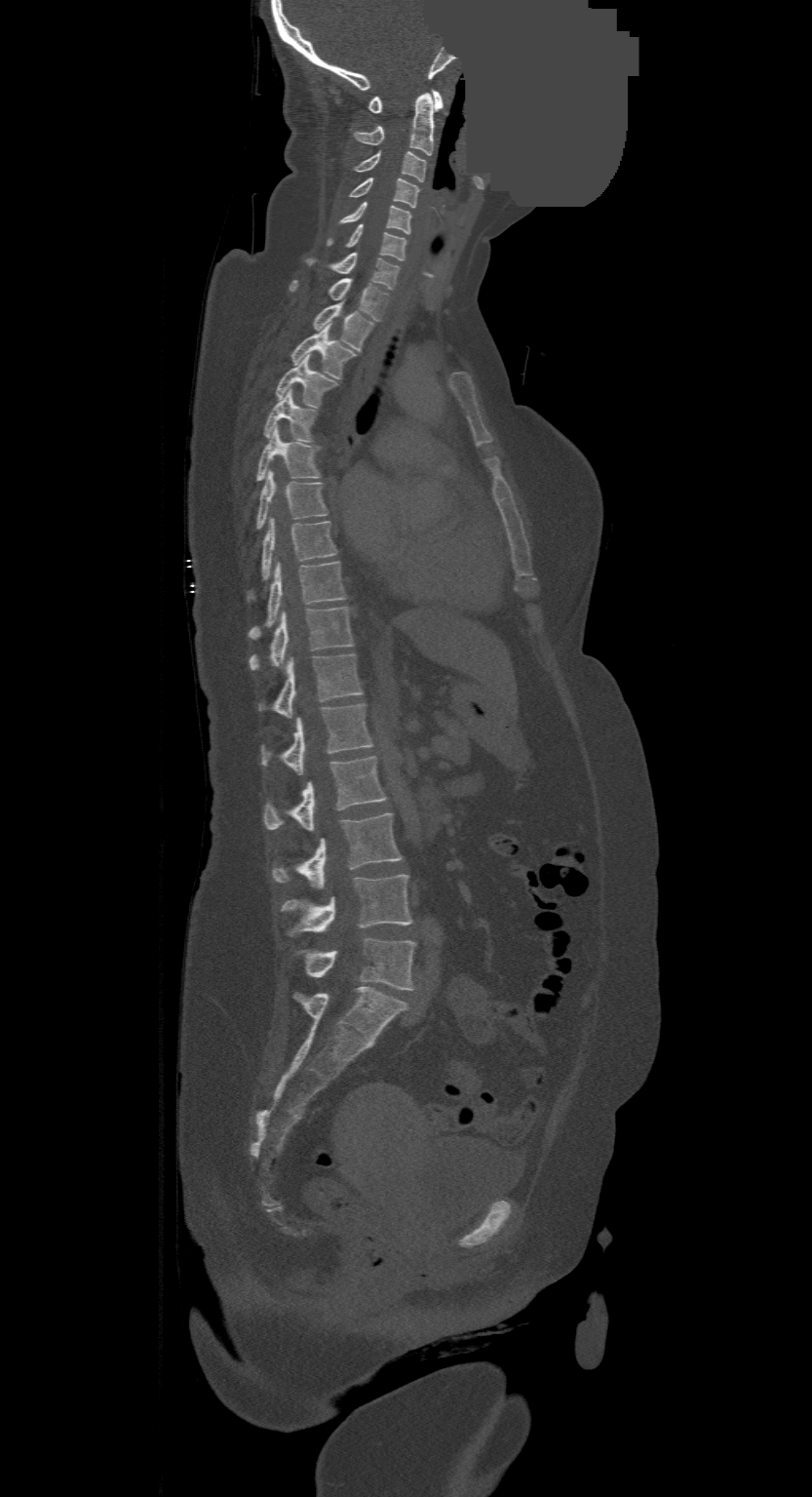
CT, spine; sagittal view; a region of this slice is masked with a uniform fill

Coordinates as <box>x1,y1,x2,y2</box>. In this scan, the topmost labeled vertebra is C1 and the lowest is L4. The labeled vertebrae in this slice are: C1 at <box>368,91,444,113</box>, C2 at <box>352,93,437,155</box>, C3 at <box>354,150,426,181</box>, C4 at <box>349,177,418,208</box>, C5 at <box>341,202,411,233</box>, C6 at <box>329,223,406,259</box>, C7 at <box>305,253,399,289</box>, T1 at <box>289,278,389,321</box>, T2 at <box>313,302,373,350</box>, T3 at <box>290,326,355,378</box>, T4 at <box>276,356,337,408</box>, T5 at <box>263,390,317,442</box>, T6 at <box>257,428,321,481</box>, T7 at <box>255,470,328,530</box>, T8 at <box>248,519,337,601</box>, T9 at <box>250,561,345,640</box>, T10 at <box>250,607,353,671</box>, T11 at <box>258,653,361,716</box>, T12 at <box>262,704,373,774</box>, L1 at <box>263,756,386,830</box>, L2 at <box>271,813,402,888</box>, L3 at <box>281,875,411,935</box>, L4 at <box>298,938,414,989</box>.